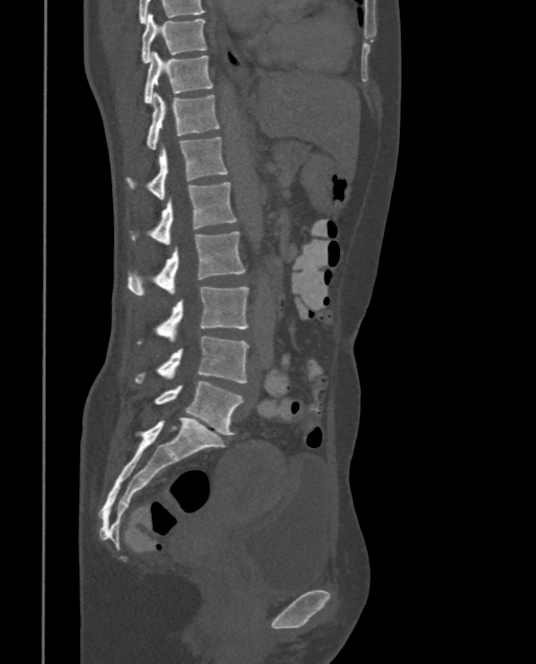
Spine computed tomography; sagittal view; Bone window (WL 400, WW 1800); 536x664 px; image width 375 mm
Boxes: x1 y1 x2 y2 (pixel coords, space-separated).
T9: 141 13 206 63
T10: 144 51 213 103
T11: 146 93 219 149
T12: 127 137 227 199
L1: 131 181 238 245
L2: 127 231 245 296
L3: 137 287 249 343
L4: 134 336 249 383
L5: 154 381 243 435